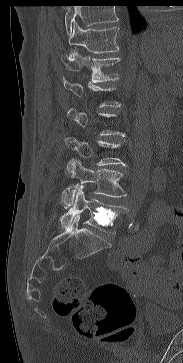 Spine CT. sagittal view. bone-window reconstruction. 183 mm across the image
Boxes: x1:y1:x2:y2 in pixels.
Not every vertebra on this slice has a box: a vertebra is boxed only from the first to the last slice where its cross-section is at least a third of its largest, and this slice is outside that range for at least one of them.
Vertebrae that run past the top of the scan are left unlabeled.
T11: 69:21:119:53
T12: 61:51:120:82
L3: 65:137:126:172
L4: 64:159:126:208
L5: 60:185:127:233